Spine CT. Sagittal slice 273/512. scan covers 17 annotated vertebrae
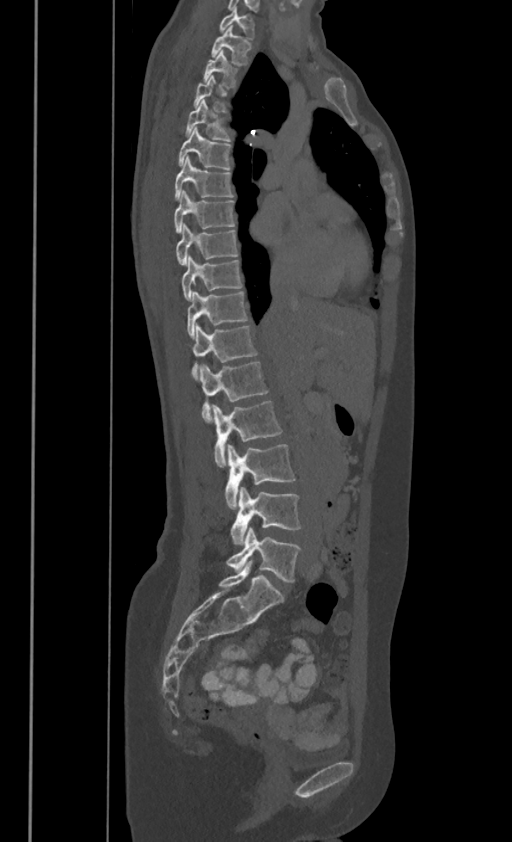
Coordinates as <box>x1,y1,x2,y2</box>.
Each vertebra is boxed only on the slices from the first to the last where its cross-section reaches a third of its largest, so a slice outside that range leaves it unboxed.
In these labels the spine has no T12: the thoracic vertebrae end at T11, and L1 comes next.
L5: <box>227,528,300,582</box>
L4: <box>231,487,300,545</box>
L3: <box>225,444,295,509</box>
L2: <box>212,400,281,467</box>
L1: <box>199,361,268,422</box>
T11: <box>191,324,256,377</box>
T10: <box>187,290,247,337</box>
T9: <box>182,254,242,299</box>
T8: <box>176,222,238,264</box>
T7: <box>174,190,234,231</box>
T6: <box>175,155,232,198</box>
T5: <box>179,125,230,169</box>
T4: <box>186,99,230,139</box>
T2: <box>204,49,236,86</box>
T1: <box>212,25,251,63</box>
C7: <box>220,6,254,37</box>